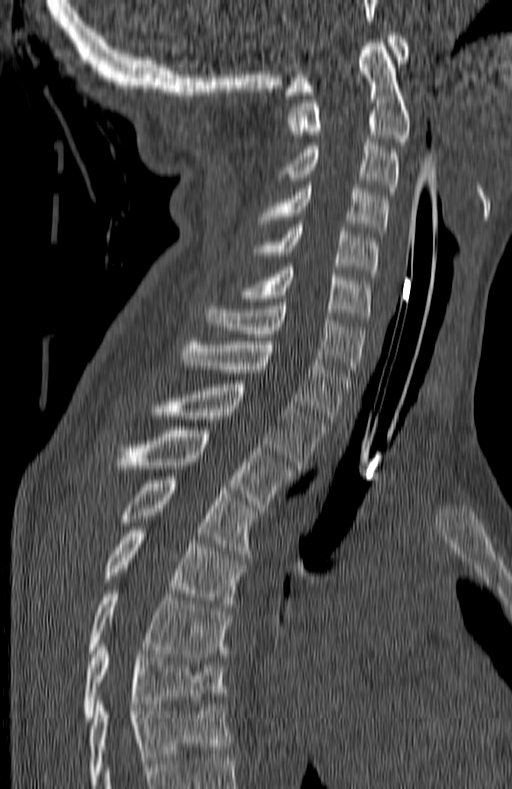
CT — the image spans 180 mm across — sagittal view — Bone window (WL 400, WW 1800)
In this scan, the topmost labeled vertebra is C1 and the lowest is T7.
<vertebrae><v name="C1" x1="286" y1="32" x2="408" y2="95"/><v name="C2" x1="288" y1="43" x2="410" y2="141"/><v name="C3" x1="280" y1="142" x2="398" y2="195"/><v name="C4" x1="260" y1="185" x2="387" y2="234"/><v name="C5" x1="254" y1="224" x2="378" y2="276"/><v name="C6" x1="246" y1="267" x2="370" y2="319"/><v name="C7" x1="206" y1="302" x2="364" y2="376"/><v name="T1" x1="180" y1="341" x2="350" y2="422"/><v name="T2" x1="152" y1="384" x2="324" y2="468"/><v name="T3" x1="115" y1="430" x2="293" y2="511"/><v name="T4" x1="118" y1="476" x2="253" y2="554"/><v name="T5" x1="103" y1="526" x2="245" y2="607"/><v name="T6" x1="89" y1="590" x2="230" y2="660"/><v name="T7" x1="83" y1="640" x2="225" y2="721"/></vertebrae>